CT spine. sagittal view. scan covers 17 annotated vertebrae. 365 mm across the image
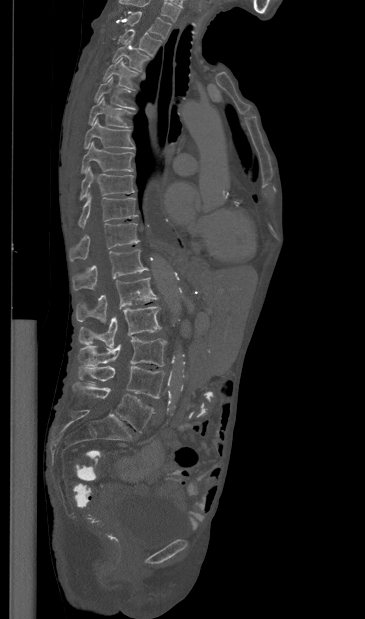

Coordinates as <box>x1,y1,x2,y2</box>.
Labels in this scan begin with T1 at the top and end with L5 at the bottom.
Vertebra bounding boxes:
- T1: <box>126,11,171,38</box>
- T2: <box>118,29,161,56</box>
- T3: <box>113,40,149,71</box>
- T4: <box>103,58,138,89</box>
- T5: <box>94,77,135,110</box>
- T6: <box>88,96,131,127</box>
- T7: <box>84,118,135,149</box>
- T8: <box>81,141,133,173</box>
- T9: <box>80,166,134,200</box>
- T10: <box>78,192,137,227</box>
- T11: <box>69,222,139,261</box>
- T12: <box>72,249,148,290</box>
- L1: <box>76,277,158,322</box>
- L2: <box>78,306,161,347</box>
- L3: <box>78,337,166,366</box>
- L4: <box>79,366,164,398</box>
- L5: <box>71,382,154,432</box>